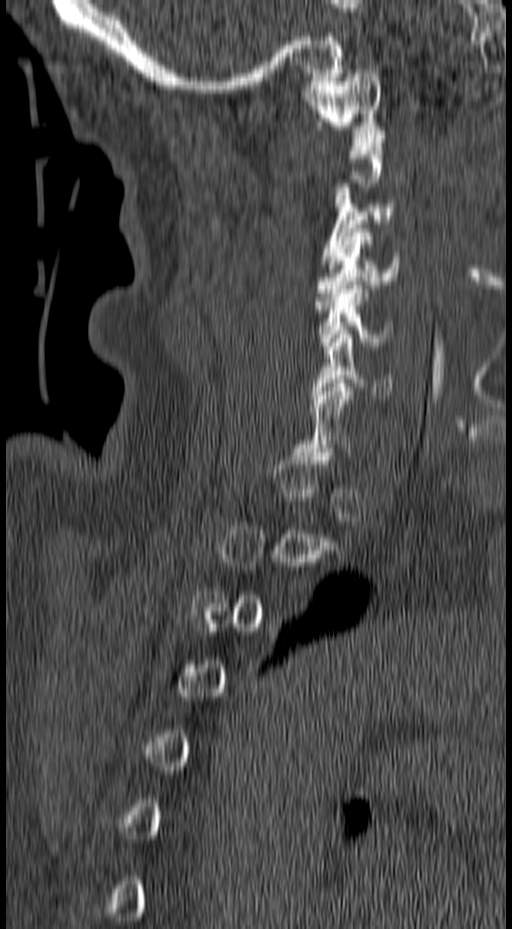

Spine CT. sagittal view. bone window. 512x929 px
Each box is [x1, y1, x2, y2] in pixels: top-left corner, then bottom-right corner.
Not every vertebra on this slice has a box: a vertebra is boxed only from the first to the last slice where its cross-section is at least a third of its largest, and this slice is outside that range for at least one of them.
{"vertebrae":{"C1":[299,69,385,142],"C3":[320,183,398,264],"C4":[313,228,400,305],"C5":[315,285,394,350],"C6":[310,334,394,398]}}